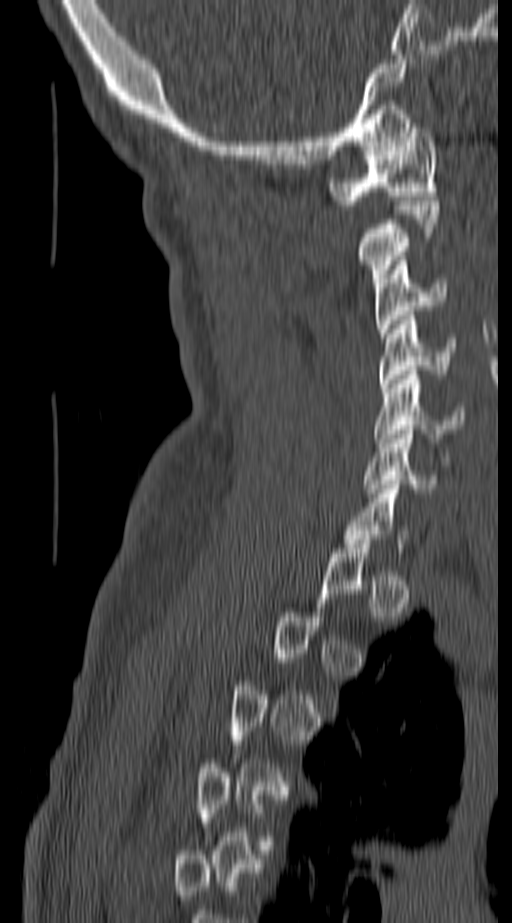 Spine computed tomography. sagittal view
Boxes are given in columns x1, y1, x2, y2, the pixel coordinates of their top-left and bottom-right corners.
Each vertebra is boxed only on the slices from the first to the last where its cross-section reaches a third of its largest, so a slice outside that range leaves it unboxed.
| vertebra | x1 | y1 | x2 | y2 |
|---|---|---|---|---|
| C1 | 330 | 123 | 439 | 205 |
| C2 | 356 | 201 | 439 | 287 |
| C3 | 374 | 256 | 446 | 337 |
| C4 | 378 | 315 | 454 | 388 |
| C5 | 374 | 370 | 466 | 447 |
| C6 | 363 | 430 | 440 | 493 |